Spine CT. sagittal reformat. bone window. 512x827 px
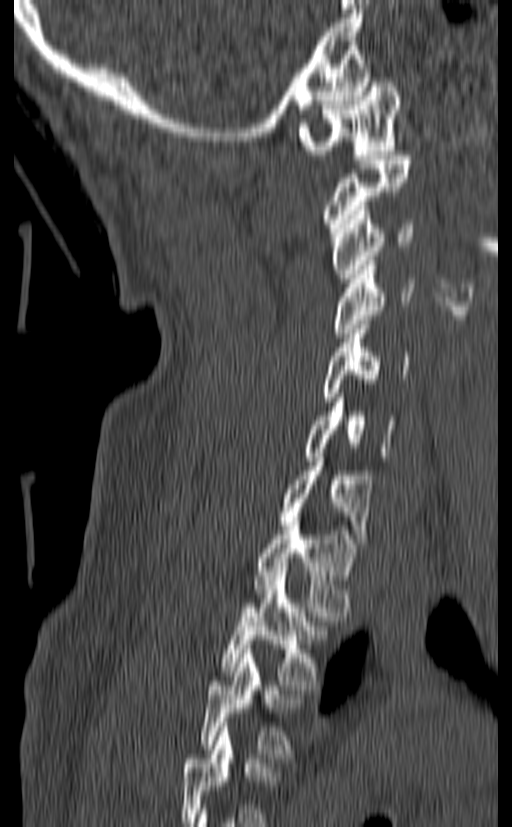 Boxes are (x1, y1, x2, y2) in pixels. The highest labeled vertebra in this scan is C1; the lowest is T3. Vertebrae labeled: C1 at (298, 73, 400, 159), C2 at (323, 155, 410, 232), C3 at (330, 206, 414, 287), C4 at (334, 261, 415, 337), C5 at (321, 320, 411, 401), C6 at (305, 393, 395, 461), C7 at (279, 457, 374, 543), T1 at (254, 521, 355, 616), T2 at (220, 571, 327, 689), T3 at (200, 649, 301, 758).